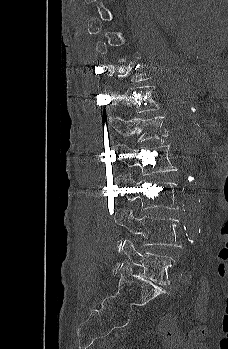 Computed tomography of the spine — sagittal view — Bone window (WL 400, WW 1800) — image 228 mm wide
Coordinates as <box>x1,y1,x2,y2</box>. A vertebra gets a box only on the slices from the first to the last where its cross-section is at least a third of its largest; on a slice outside that range it gets none. 6 vertebrae labeled — T12 at <box>107,86,160,112</box>; L1 at <box>107,112,168,143</box>; L2 at <box>111,143,177,175</box>; L3 at <box>114,173,178,209</box>; L4 at <box>113,208,181,252</box>; L5 at <box>113,239,174,284</box>.